Spine CT · 160 mm across the image · sagittal reformat
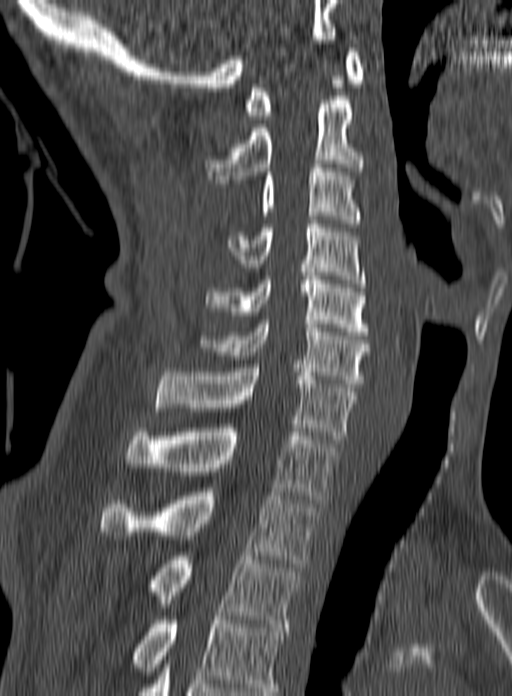

Each box is [x1, y1, x2, y2] in pixels: top-left corner, then bottom-right corner.
The highest labeled vertebra in this scan is C1; the lowest is T3.
{"vertebrae":{"C1":[244,48,364,119],"C2":[203,100,365,183],"C3":[259,164,362,223],"C4":[227,224,365,287],"C5":[206,276,368,335],"C6":[201,320,370,387],"C7":[155,368,355,443],"T1":[124,428,339,503],"T2":[100,492,317,567],"T3":[152,552,301,627]}}